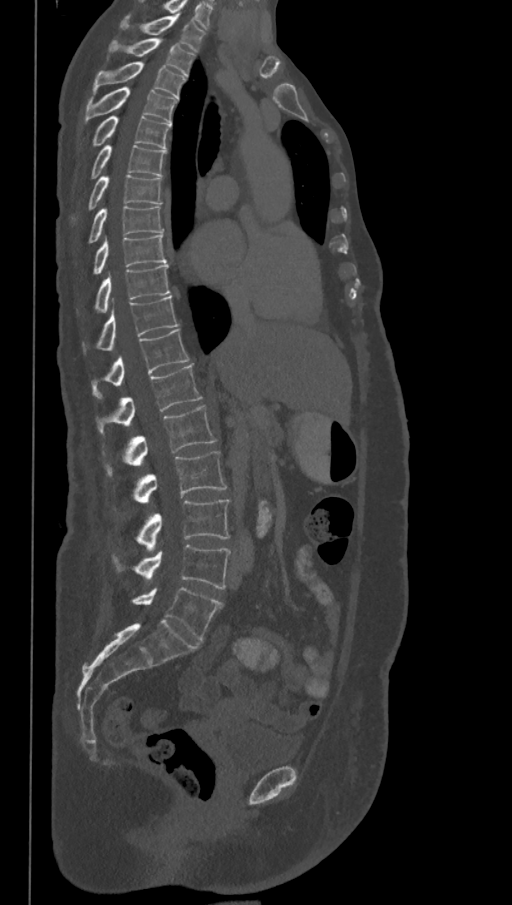

CT spine. sagittal view. the image is 368 mm wide. bone window. 512x905 px

Boxes are (x1, y1, x2, y2) in pixels.
This scan's labels start at T1 at the top and end at L6 at the bottom.
The labels name a sixth lumbar vertebra for this spine: L6, after L5.
Vertebra bounding boxes:
- L6: (131, 587, 223, 640)
- L5: (112, 545, 231, 589)
- L4: (135, 500, 230, 550)
- L3: (114, 452, 227, 510)
- L2: (103, 406, 216, 476)
- L1: (96, 364, 202, 436)
- T12: (92, 329, 189, 398)
- T11: (82, 296, 178, 353)
- T10: (76, 264, 170, 316)
- T9: (92, 233, 167, 276)
- T8: (87, 205, 164, 243)
- T7: (71, 175, 162, 226)
- T6: (89, 144, 166, 179)
- T5: (90, 115, 170, 149)
- T4: (83, 86, 177, 124)
- T3: (92, 61, 185, 98)
- T2: (110, 39, 194, 75)
- T1: (121, 15, 205, 52)